CT spine — sagittal reformat — Bone window (WL 400, WW 1800) — 512x963 px — 11 vertebrae labeled in this scan
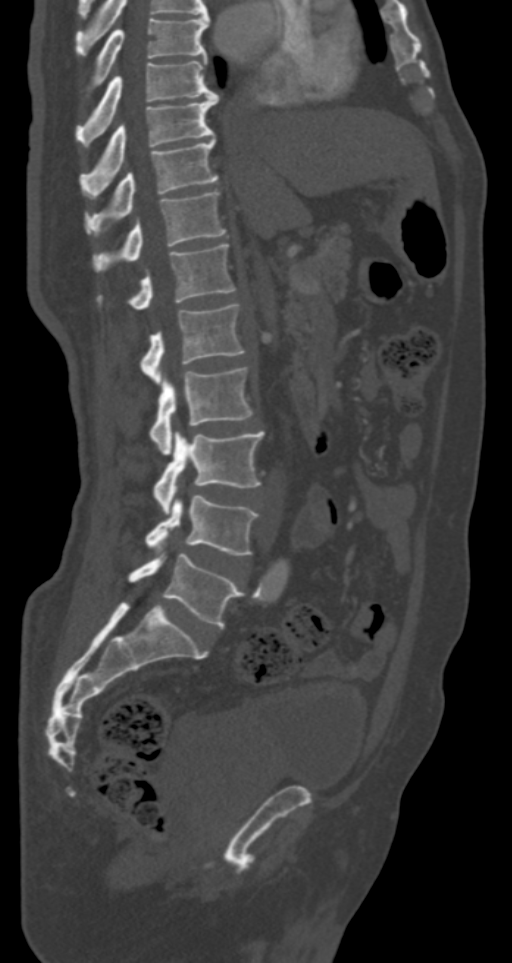 Boxes are (x1, y1, x2, y2) in pixels. 11 vertebrae labeled — L5 at (128, 554, 243, 627); L4 at (146, 496, 257, 555); L3 at (153, 431, 264, 515); L2 at (149, 367, 252, 454); L1 at (141, 303, 245, 384); T12 at (98, 244, 236, 309); T11 at (94, 191, 225, 270); T10 at (85, 139, 218, 234); T9 at (82, 94, 218, 191); T8 at (76, 60, 218, 146); T7 at (87, 17, 209, 95).